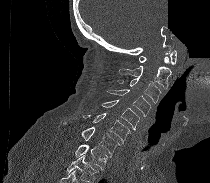

CT. sagittal view. bone-window reconstruction. the image is 210 mm wide. part of the image has been replaced by a constant value
No box is given to a vertebra that the bottom edge of the scan cuts off.
<vertebrae><v name="C1" x1="139" y1="50" x2="176" y2="65"/><v name="C2" x1="119" y1="52" x2="171" y2="88"/><v name="C3" x1="116" y1="78" x2="161" y2="103"/><v name="C4" x1="107" y1="89" x2="151" y2="116"/><v name="C5" x1="101" y1="99" x2="139" y2="130"/><v name="C6" x1="83" y1="113" x2="131" y2="146"/><v name="C7" x1="63" y1="122" x2="119" y2="158"/><v name="T1" x1="74" y1="144" x2="108" y2="170"/></vertebrae>